Spine CT — sagittal view
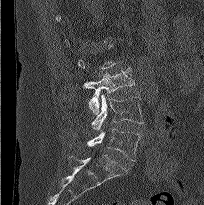 Coordinates as <box>x1,y1,x2,y2</box>.
Each vertebra is boxed only on the slices from the first to the last where its cross-section reaches a third of its largest, so a slice outside that range leaves it unboxed.
L3: <box>82,68,135,114</box>
L4: <box>91,94,143,130</box>
L5: <box>69,129,140,161</box>